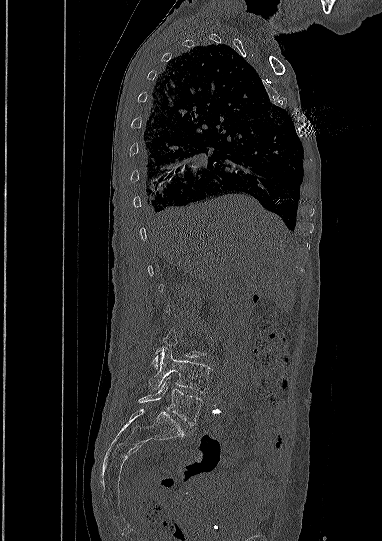

CT, spine; sagittal view; 382 mm wide
Each vertebra maps to its box as [x1, y1, x2, y2], the pixel coordinates of its top-left and bottom-right corners.
A vertebra is boxed only from the first to the last slice where its cross-section is at least a third of its largest; slices outside that range leave it without a box.
{"vertebrae":{"L4":[149,347,210,393],"L5":[138,378,202,425]}}